CT, spine; sagittal reformat; Bone window (WL 400, WW 1800); 312 mm image width; 312x497 px
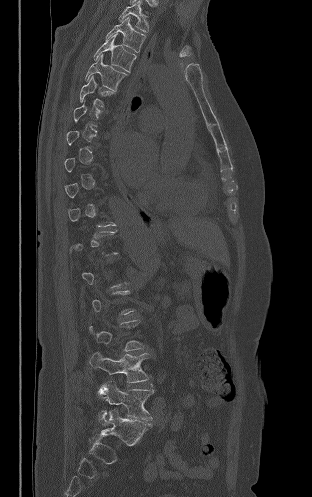
A vertebra gets a box only on the slices from the first to the last where its cross-section is at least a third of its largest; on a slice outside that range it gets none.
<vertebrae><v name="L5" x1="98" y1="381" x2="153" y2="426"/><v name="L4" x1="89" y1="352" x2="149" y2="382"/><v name="T6" x1="79" y1="75" x2="114" y2="107"/><v name="T5" x1="85" y1="54" x2="127" y2="90"/><v name="T4" x1="94" y1="34" x2="136" y2="72"/><v name="T3" x1="106" y1="16" x2="145" y2="52"/><v name="T2" x1="119" y1="1" x2="148" y2="31"/></vertebrae>